CT spine; sagittal view; bone-window reconstruction; 555x689 px; scan covers 7 annotated vertebrae
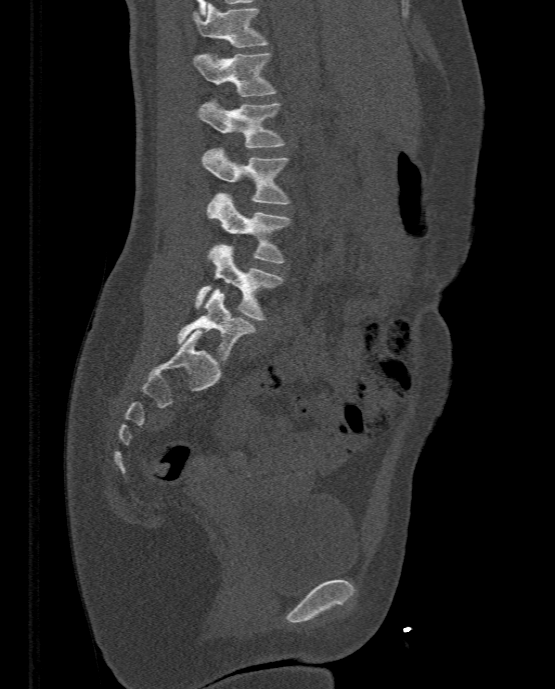 <vertebrae><v name="L5" x1="177" y1="288" x2="256" y2="360"/><v name="L4" x1="195" y1="244" x2="284" y2="319"/><v name="L3" x1="206" y1="193" x2="291" y2="263"/><v name="L2" x1="202" y1="148" x2="291" y2="204"/><v name="L1" x1="198" y1="100" x2="285" y2="147"/><v name="T12" x1="194" y1="52" x2="276" y2="96"/><v name="T11" x1="192" y1="3" x2="269" y2="47"/></vertebrae>